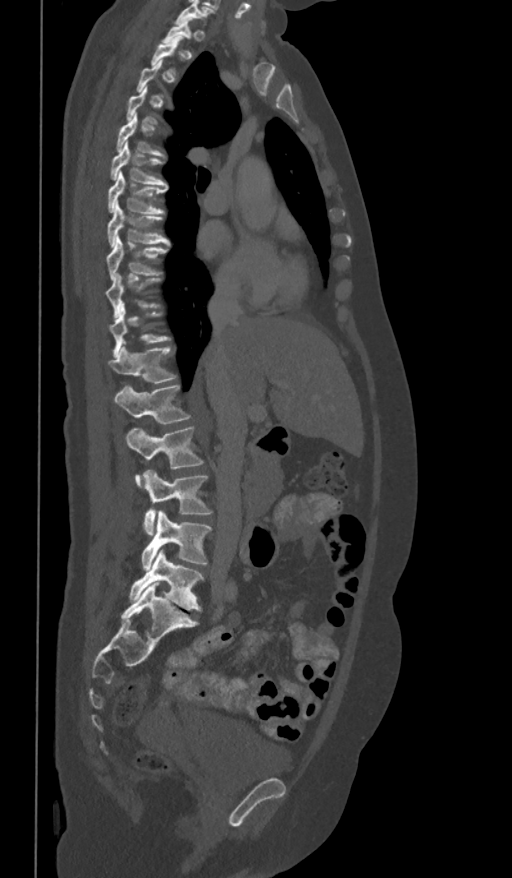 Spine computed tomography — sagittal view. Boxes are given in columns x1, y1, x2, y2, the pixel coordinates of their top-left and bottom-right corners.
A vertebra is boxed only from the first to the last slice where its cross-section is at least a third of its largest; slices outside that range leave it without a box.
| vertebra | x1 | y1 | x2 | y2 |
|---|---|---|---|---|
| T5 | 116 | 114 | 165 | 157 |
| T6 | 110 | 142 | 168 | 189 |
| T7 | 108 | 172 | 166 | 213 |
| T8 | 106 | 202 | 169 | 247 |
| T9 | 106 | 235 | 168 | 280 |
| T10 | 106 | 273 | 160 | 317 |
| T11 | 109 | 308 | 170 | 356 |
| T12 | 108 | 346 | 176 | 382 |
| L1 | 113 | 384 | 190 | 424 |
| L2 | 126 | 428 | 203 | 487 |
| L3 | 143 | 470 | 213 | 535 |
| L4 | 142 | 511 | 212 | 570 |
| L5 | 129 | 549 | 203 | 610 |